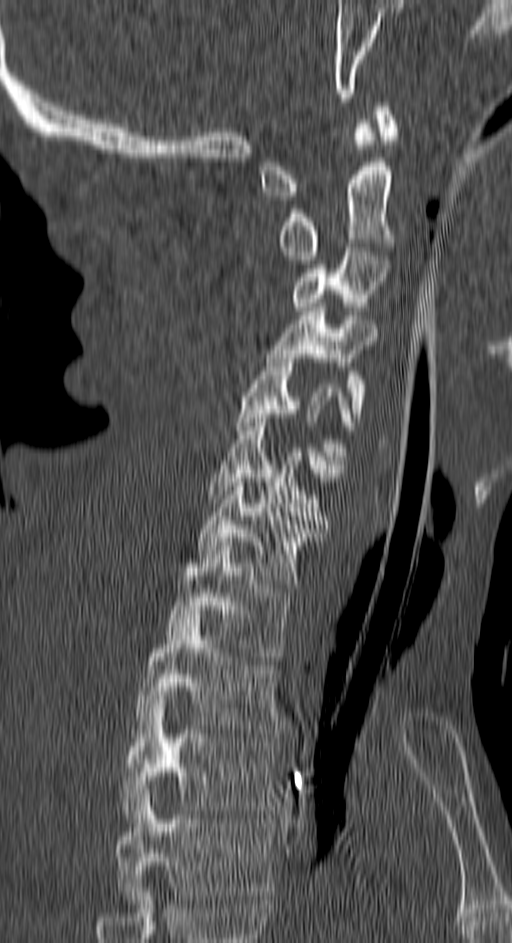
Spine computed tomography · sagittal view · bone-window reconstruction · image 150 mm wide
Each vertebra maps to its box as [x1, y1, x2, y2], the pixel coordinates of its top-left and bottom-right corners.
The highest labeled vertebra in this scan is C1; the lowest is T4.
{"vertebrae":{"T4":[114,794,273,899],"T3":[121,695,277,818],"T2":[134,614,281,733],"T1":[167,542,291,660],"C7":[199,474,318,588],"C6":[209,418,331,524],"C5":[235,354,354,473],"C4":[266,307,376,417],"C3":[291,247,386,310],"C2":[278,124,393,264],"C1":[261,102,396,200]}}